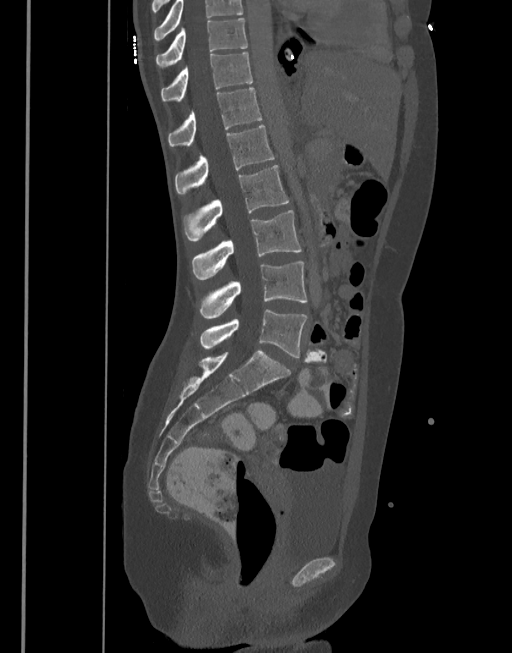 Spine CT; sagittal view; W/L 1800/400 HU

Boxes are (x1, y1, x2, y2) in pixels.
Labels in this scan begin with T10 at the top and end with L5 at the bottom.
T10: (156, 18, 247, 67)
T11: (161, 53, 253, 100)
T12: (168, 88, 262, 146)
L1: (175, 125, 275, 195)
L2: (183, 165, 288, 240)
L3: (191, 210, 302, 280)
L4: (199, 262, 307, 318)
L5: (199, 309, 307, 357)